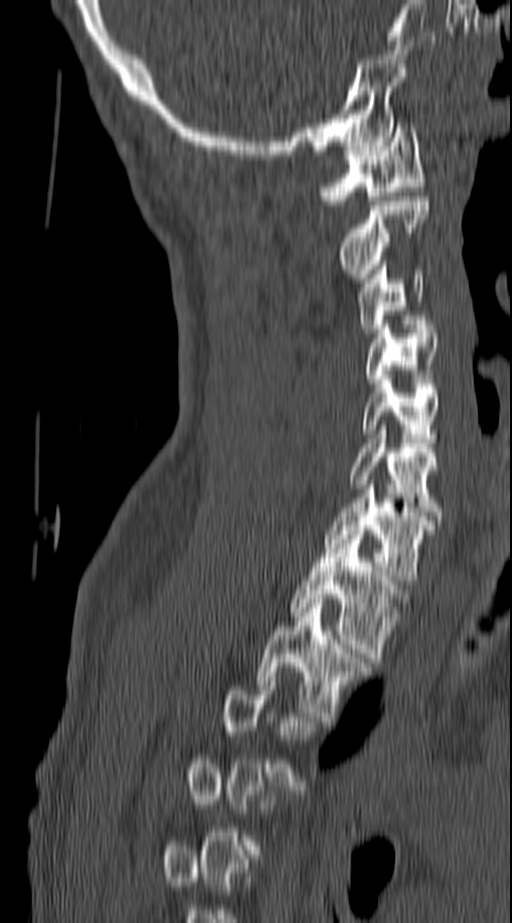
CT spine. sagittal view. the image is 140 mm wide. bone window
Box edges are left/top/right/bottom in pixels.
Not every vertebra on this slice has a box: a vertebra is boxed only from the first to the last slice where its cross-section is at least a third of its largest, and this slice is outside that range for at least one of them.
Vertebra bounding boxes:
- C1: left=320, top=123, right=425, bottom=205
- C2: left=338, top=197, right=428, bottom=278
- C3: left=357, top=261, right=425, bottom=333
- C4: left=367, top=325, right=439, bottom=383
- C5: left=363, top=379, right=442, bottom=442
- C6: left=349, top=430, right=443, bottom=520
- C7: left=323, top=485, right=436, bottom=584
- T1: left=290, top=530, right=403, bottom=662
- T2: left=257, top=599, right=370, bottom=721